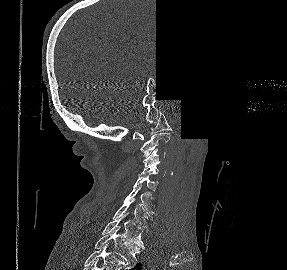 Spine CT; the image spans 287 mm across; sagittal view; an area of the scan was removed and filled with constant pixels
<vertebrae><v name="T2" x1="94" y1="226" x2="140" y2="265"/><v name="T1" x1="102" y1="212" x2="145" y2="248"/><v name="C7" x1="112" y1="197" x2="149" y2="227"/><v name="C6" x1="124" y1="184" x2="156" y2="215"/><v name="C5" x1="133" y1="175" x2="158" y2="192"/><v name="C4" x1="138" y1="163" x2="167" y2="176"/><v name="C3" x1="143" y1="149" x2="165" y2="167"/><v name="C2" x1="140" y1="133" x2="170" y2="156"/><v name="C1" x1="133" y1="111" x2="173" y2="139"/></vertebrae>